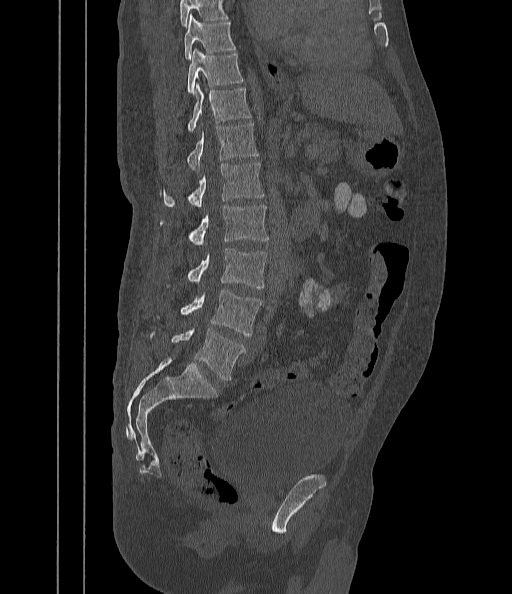
CT spine. sagittal view. 512x594 px. 442 mm image width
Box values are [left, top, right, bottom] in pixels.
Vertebrae that run past the top of the scan are left unlabeled.
{"vertebrae":{"T9":[184,16,235,60],"T10":[186,50,243,93],"T11":[186,85,250,131],"T12":[186,123,258,171],"L1":[159,162,264,208],"L2":[160,205,268,244],"L3":[166,248,267,289],"L4":[155,290,261,336],"L5":[149,328,244,380]}}